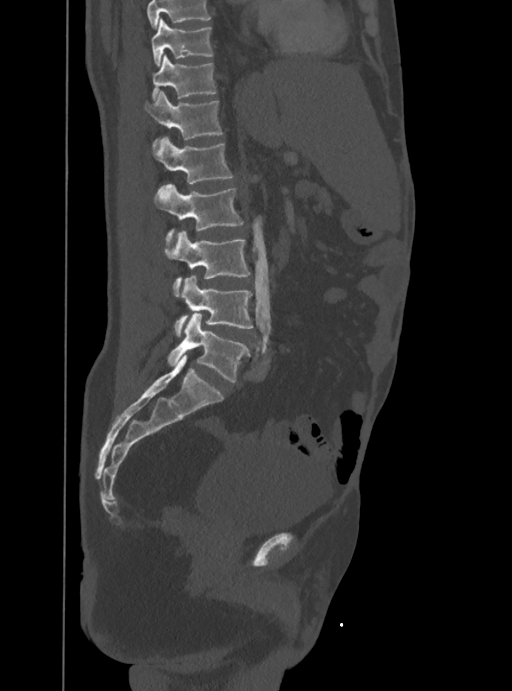

CT, spine. 388 mm image width. sagittal view
Each box given as x1,y1,x2,y2.
No box is given to a vertebra that the top edge of the scan cuts off.
T10: x1=152, y1=18, x2=213, y2=67
T11: x1=152, y1=56, x2=217, y2=98
T12: x1=145, y1=91, x2=222, y2=150
L1: x1=153, y1=137, x2=232, y2=183
L2: x1=154, y1=183, x2=243, y2=245
L3: x1=165, y1=230, x2=250, y2=296
L4: x1=174, y1=276, x2=252, y2=335
L5: x1=167, y1=314, x2=247, y2=381